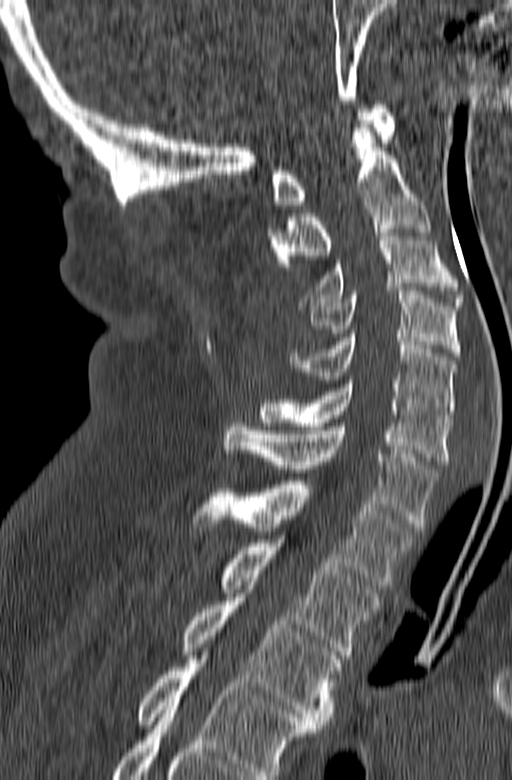

CT, spine — sagittal reformat

Boxes are (x1, y1, x2, y2) in pixels. This scan's labels start at C1 at the top and end at T3 at the bottom. Vertebrae labeled: T3 at (181, 597, 341, 728), T2 at (218, 539, 379, 658), T1 at (192, 481, 416, 585), C7 at (221, 419, 438, 527), C6 at (259, 380, 452, 464), C5 at (290, 334, 456, 418), C4 at (308, 291, 460, 356), C3 at (299, 229, 464, 309), C2 at (268, 120, 430, 274), C1 at (272, 101, 394, 208).